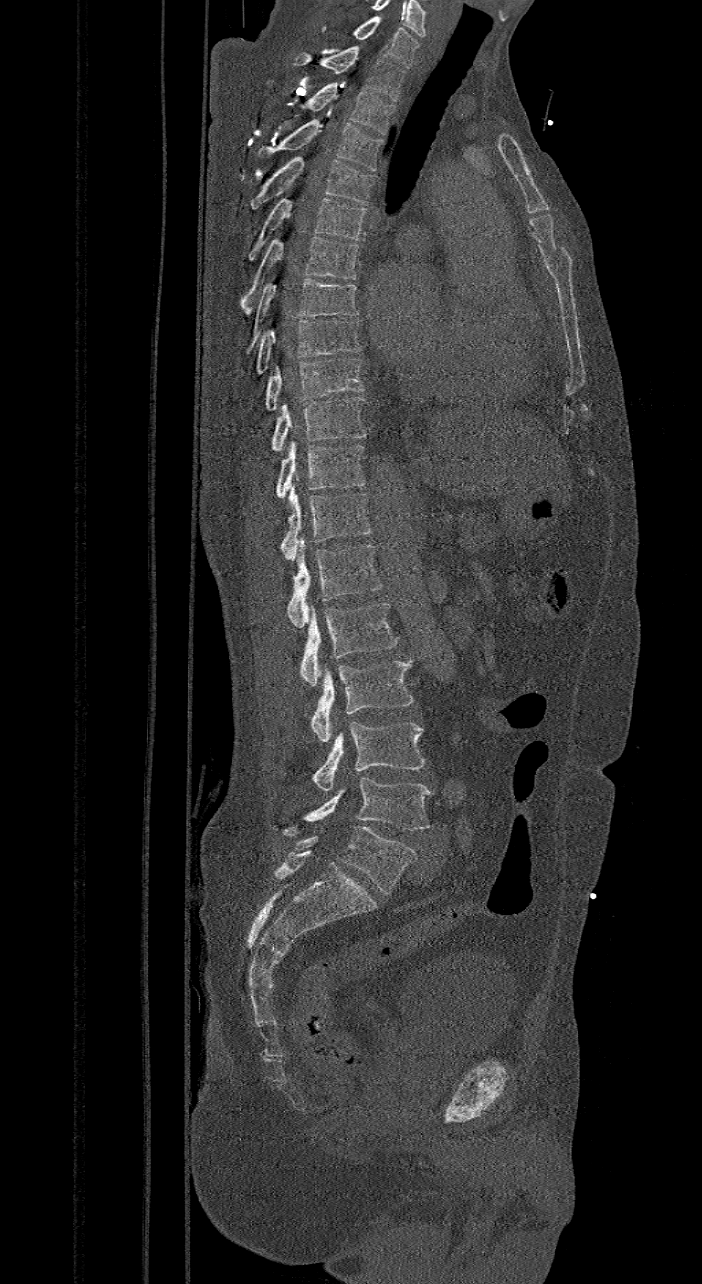 CT · sagittal reformat · image width 421 mm

Boxes are (x1, y1, x2, y2) in pixels.
The labels name a sixth lumbar vertebra for this spine: L6, after L5.
Vertebra bounding boxes:
- L6: (275, 826, 416, 895)
- L5: (280, 778, 432, 837)
- L4: (311, 721, 425, 790)
- L3: (310, 661, 414, 742)
- L2: (300, 602, 399, 685)
- L1: (286, 545, 383, 627)
- T12: (280, 487, 372, 560)
- T11: (275, 441, 365, 497)
- T10: (270, 395, 365, 451)
- T9: (263, 357, 365, 410)
- T8: (255, 320, 361, 374)
- T7: (245, 278, 359, 353)
- T6: (240, 235, 359, 314)
- T5: (248, 197, 368, 260)
- T4: (249, 156, 375, 209)
- T3: (256, 119, 383, 170)
- T2: (299, 82, 395, 135)
- T1: (293, 45, 407, 100)
- C7: (321, 16, 418, 68)